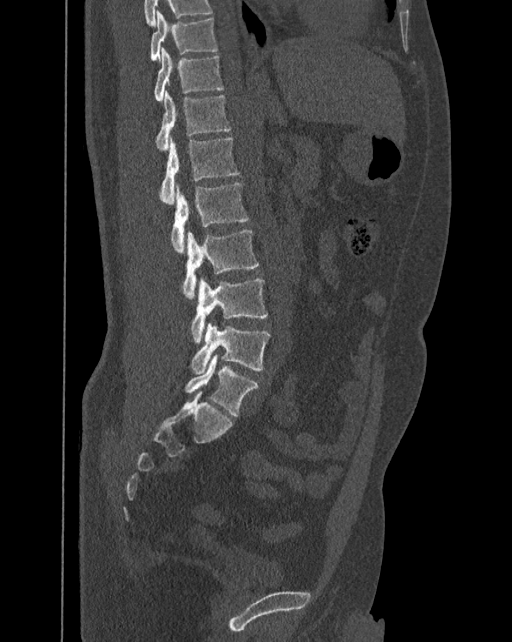

Spine computed tomography; sagittal view; bone window

Box edges are left/top/right/bottom in pixels.
In these labels the spine has an L6, a sixth lumbar vertebra below L5.
T10: left=150, top=9, right=218, bottom=61
T11: left=154, top=47, right=223, bottom=101
T12: left=155, top=91, right=231, bottom=149
L1: left=160, top=138, right=239, bottom=204
L2: left=171, top=182, right=248, bottom=252
L3: left=183, top=229, right=259, bottom=300
L4: left=191, top=279, right=268, bottom=343
L5: left=191, top=323, right=271, bottom=374
L6: left=185, top=355, right=259, bottom=416